CT · sagittal reformat · bone-window reconstruction · 150 mm image width · 11 vertebrae labeled in this scan
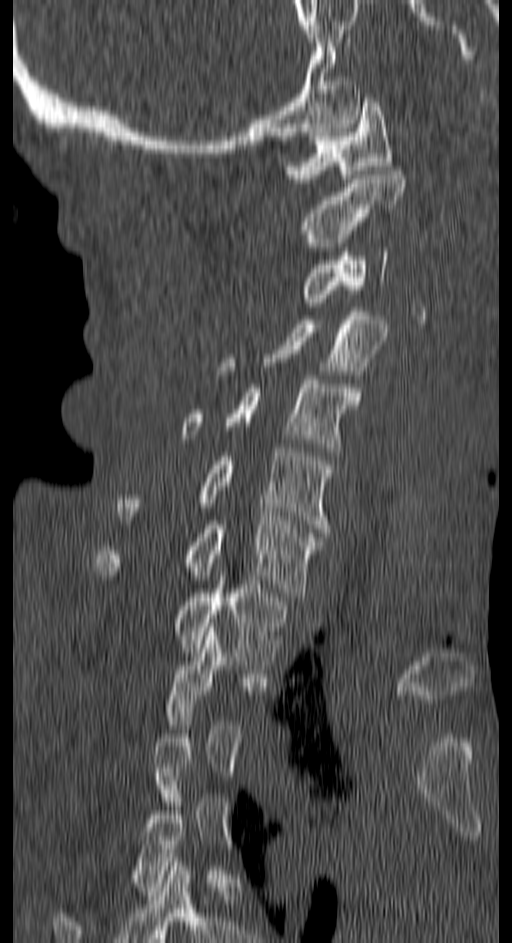
A vertebra gets a box only on the slices from the first to the last where its cross-section is at least a third of its largest; on a slice outside that range it gets none.
<vertebrae><v name="C1" x1="285" y1="98" x2="393" y2="182"/><v name="C2" x1="302" y1="166" x2="403" y2="251"/><v name="C3" x1="302" y1="247" x2="388" y2="302"/><v name="C4" x1="220" y1="311" x2="387" y2="374"/><v name="C5" x1="183" y1="375" x2="360" y2="456"/><v name="C6" x1="117" y1="448" x2="331" y2="532"/><v name="C7" x1="93" y1="516" x2="321" y2="596"/><v name="T1" x1="175" y1="576" x2="285" y2="665"/></vertebrae>